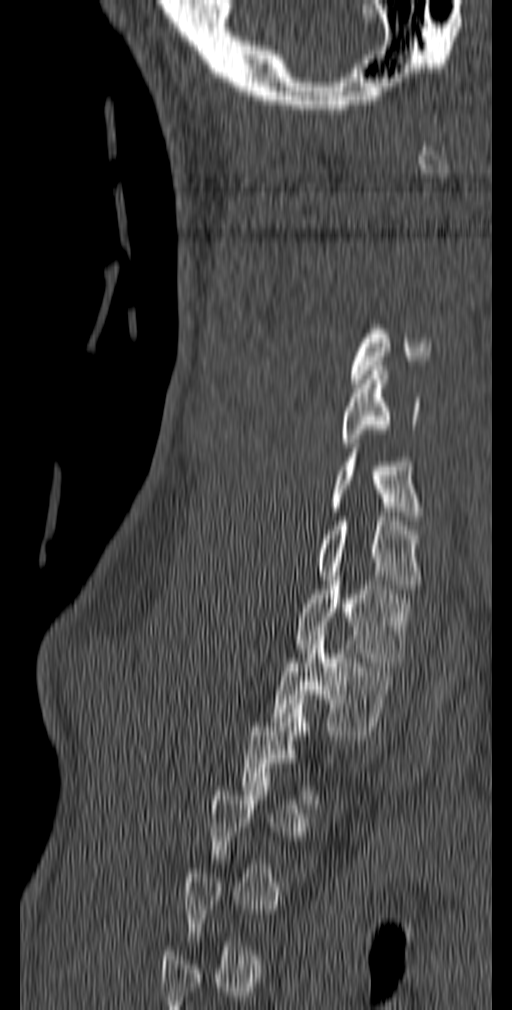

Computed tomography of the spine; 140 mm across the image; sagittal view
Each box is [x1, y1, x2, y2] in pixels: top-left corner, then bottom-right corner.
Not every vertebra on this slice has a box: a vertebra is boxed only from the first to the last slice where its cross-section is at least a third of its largest, and this slice is outside that range for at least one of them.
{"vertebrae":{"C4":[351,320,431,383],"C5":[341,366,420,447],"C6":[329,439,421,525],"C7":[316,521,421,589],"T1":[294,576,410,666],"T2":[271,631,397,735]}}